CT spine. Sagittal slice 250/512. bone-window reconstruction. image 200 mm wide
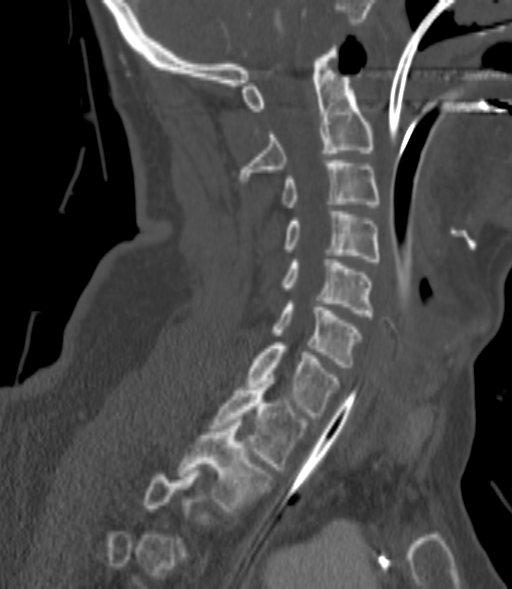
Each box given as x1,y1,x2,y2.
A vertebra is boxed only from the first to the last slice where its cross-section is at least a third of its largest; slices outside that range leave it without a box.
Vertebra bounding boxes:
- T2: x1=177, y1=419, x2=271, y2=514
- T1: x1=211, y1=378, x2=307, y2=469
- C7: x1=247, y1=342, x2=340, y2=418
- C6: x1=272, y1=301, x2=361, y2=367
- C5: x1=280, y1=262, x2=374, y2=316
- C4: x1=282, y1=211, x2=379, y2=261
- C3: x1=282, y1=160, x2=379, y2=207
- C2: x1=239, y1=45, x2=374, y2=181